CT spine · sagittal view · Bone window (WL 400, WW 1800) · scan covers 9 annotated vertebrae
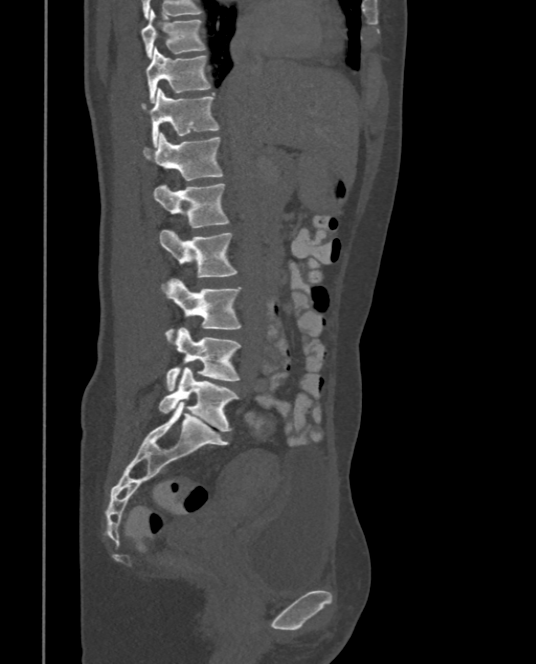

Boxes: x1:y1:x2:y2 in pixels.
Vertebra bounding boxes:
- L5: 158:367:238:430
- L4: 165:327:241:390
- L3: 164:278:241:333
- L2: 158:229:235:277
- L1: 153:184:229:227
- T12: 142:133:223:180
- T11: 142:88:219:145
- T10: 145:47:210:102
- T9: 141:10:204:58